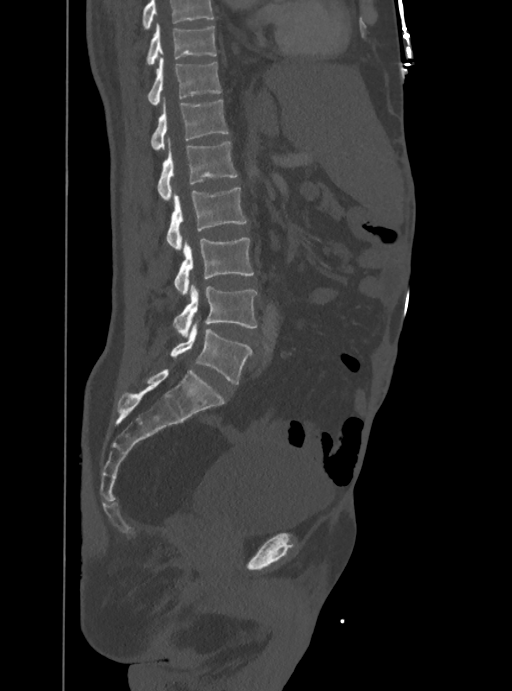
CT spine — sagittal view — bone window — 512x691 px. Boxes are (x1, y1, x2, y2) in pixels. No box is given to a vertebra that the top edge of the scan cuts off. Vertebrae labeled: T10 at (146, 24, 217, 64), T11 at (148, 57, 222, 106), T12 at (150, 99, 228, 150), L1 at (157, 140, 238, 200), L2 at (166, 188, 246, 248), L3 at (174, 238, 254, 295), L4 at (173, 285, 256, 336), L5 at (170, 324, 251, 384).